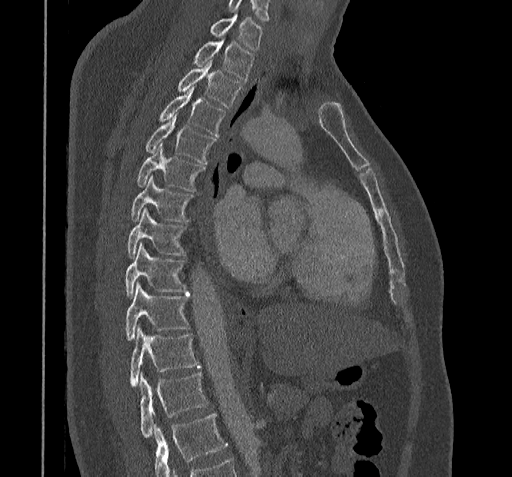 Spine CT. image 322 mm wide. sagittal view
No box is given to a vertebra that the bottom edge of the scan cuts off.
<vertebrae><v name="T11" x1="140" y1="374" x2="207" y2="437"/><v name="T10" x1="130" y1="328" x2="199" y2="387"/><v name="T9" x1="125" y1="282" x2="188" y2="341"/><v name="T8" x1="125" y1="243" x2="186" y2="298"/><v name="T7" x1="127" y1="209" x2="185" y2="258"/><v name="T6" x1="132" y1="176" x2="193" y2="221"/><v name="T5" x1="136" y1="145" x2="204" y2="191"/><v name="T4" x1="146" y1="113" x2="215" y2="164"/><v name="T3" x1="159" y1="87" x2="224" y2="135"/><v name="T2" x1="178" y1="60" x2="242" y2="106"/><v name="T1" x1="194" y1="39" x2="253" y2="79"/><v name="C7" x1="210" y1="13" x2="263" y2="49"/></vertebrae>